CT, spine; sagittal view
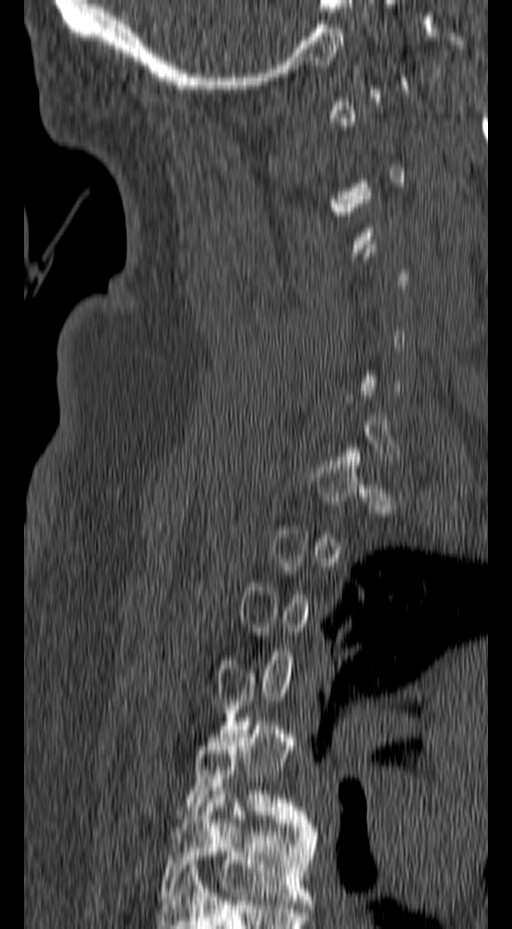

Boxes are (x1, y1, x2, y2) in pixels.
Each vertebra is boxed only on the slices from the first to the last where its cross-section reaches a third of its largest, so a slice outside that range leaves it unboxed.
Vertebra bounding boxes:
- T6: (160, 787, 320, 904)
- T5: (184, 717, 313, 827)